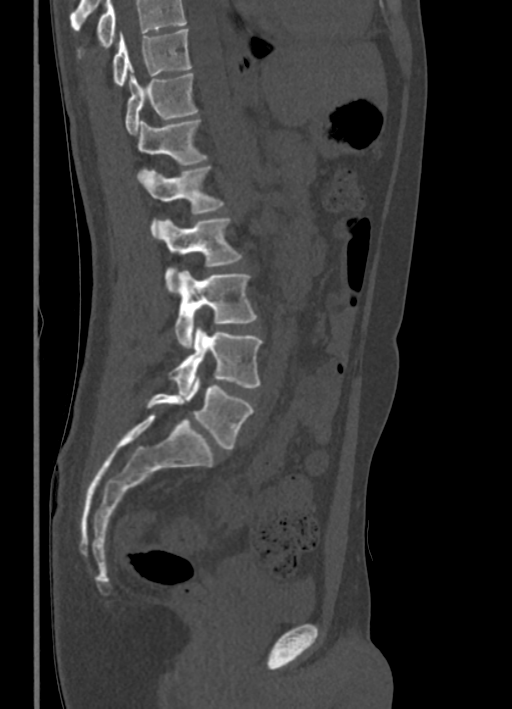

CT, spine; sagittal view; bone window. Each box given as x1,y1,x2,y2. A vertebra cut off by the top edge of the scan is not labeled and has no box. Vertebrae labeled: L5 at x1=146, y1=377, x2=253, y2=449, L4 at x1=169, y1=326, x2=262, y2=394, L3 at x1=175, y1=270, x2=256, y2=348, L2 at x1=157, y1=218, x2=241, y2=292, L1 at x1=143, y1=166, x2=223, y2=237, T12 at x1=137, y1=118, x2=206, y2=172, T11 at x1=125, y1=73, x2=197, y2=134, T10 at x1=113, y1=29, x2=191, y2=86.